CT, spine · sagittal reformat · scan covers 8 annotated vertebrae
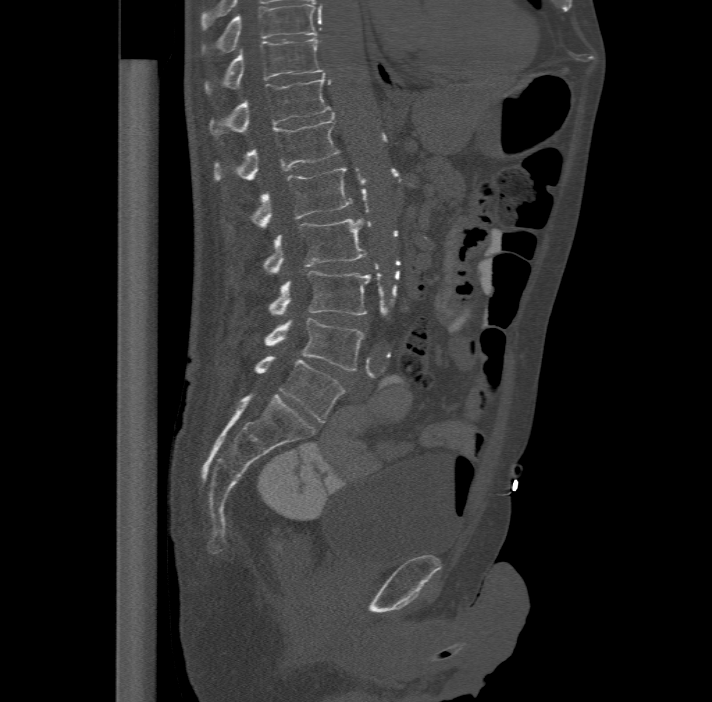 The highest labeled vertebra in this scan is T11; the lowest is L6.
These labels give the spine a sixth lumbar vertebra, L6, below L5.
<vertebrae><v name="T11" x1="204" y1="37" x2="324" y2="93"/><v name="T12" x1="209" y1="73" x2="331" y2="136"/><v name="L1" x1="213" y1="115" x2="340" y2="179"/><v name="L2" x1="250" y1="167" x2="352" y2="227"/><v name="L3" x1="263" y1="218" x2="366" y2="272"/><v name="L4" x1="268" y1="270" x2="370" y2="314"/><v name="L5" x1="264" y1="318" x2="363" y2="370"/><v name="L6" x1="256" y1="356" x2="344" y2="422"/></vertebrae>